CT, spine — the image is 312 mm wide — sagittal reformat
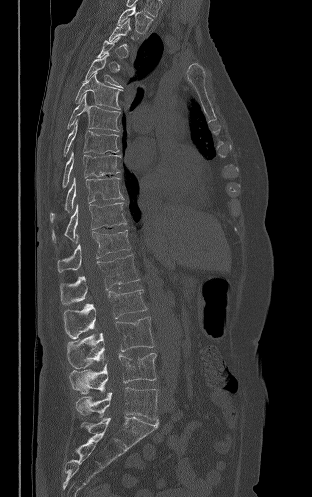

Not every vertebra on this slice has a box: a vertebra is boxed only from the first to the last slice where its cross-section is at least a third of its largest, and this slice is outside that range for at least one of them.
<vertebrae><v name="T2" x1="117" y1="5" x2="153" y2="33"/><v name="T5" x1="84" y1="53" x2="123" y2="88"/><v name="T6" x1="75" y1="72" x2="121" y2="109"/><v name="T7" x1="67" y1="93" x2="120" y2="131"/><v name="T8" x1="64" y1="120" x2="119" y2="156"/><v name="T9" x1="62" y1="150" x2="120" y2="187"/><v name="T10" x1="50" y1="177" x2="124" y2="222"/><v name="T11" x1="52" y1="202" x2="126" y2="241"/><v name="T12" x1="57" y1="230" x2="130" y2="272"/><v name="L1" x1="60" y1="254" x2="139" y2="304"/><v name="L2" x1="63" y1="289" x2="146" y2="338"/><v name="L3" x1="67" y1="317" x2="154" y2="368"/><v name="L4" x1="69" y1="353" x2="156" y2="394"/><v name="L5" x1="76" y1="387" x2="158" y2="420"/></vertebrae>